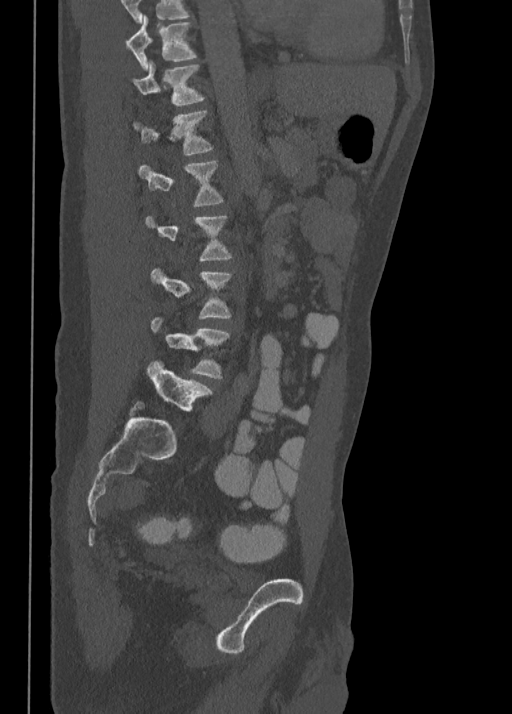

Computed tomography of the spine — sagittal view — W/L 1800/400 HU
Box values are [left, top, right, bottom] in pixels.
Each vertebra is boxed only on the slices from the first to the last where its cross-section reaches a third of its largest, so a slice outside that range leaves it unboxed.
Labels in this scan begin with T10 at the top and end with L5 at the bottom.
{"vertebrae":{"T10":[126,16,196,69],"T11":[133,59,204,106],"T12":[133,111,213,154],"L1":[139,161,223,207],"L4":[151,317,229,378],"L5":[146,361,211,411]}}